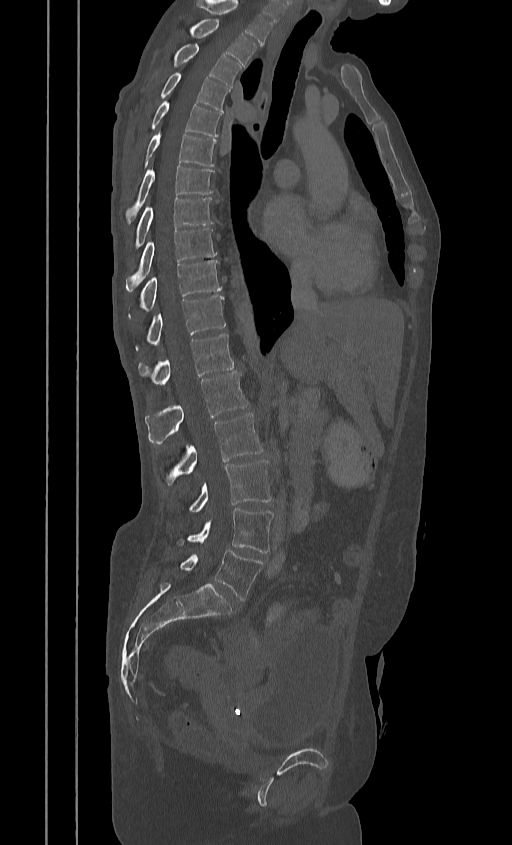
CT — sagittal view
Bounding boxes as [x1, y1, x2, y2] in pixel coordinates.
In this scan, the topmost labeled vertebra is T2 and the lowest is L5.
T2: [192, 19, 256, 66]
T3: [173, 44, 241, 87]
T4: [160, 72, 229, 112]
T5: [150, 100, 221, 136]
T6: [141, 131, 216, 166]
T7: [125, 165, 213, 223]
T8: [134, 197, 213, 248]
T9: [126, 228, 216, 291]
T10: [138, 260, 221, 310]
T11: [146, 295, 225, 346]
T12: [138, 333, 233, 384]
L1: [145, 372, 247, 444]
L2: [164, 413, 263, 486]
L3: [188, 460, 271, 512]
L4: [177, 508, 273, 552]
L5: [180, 549, 263, 600]